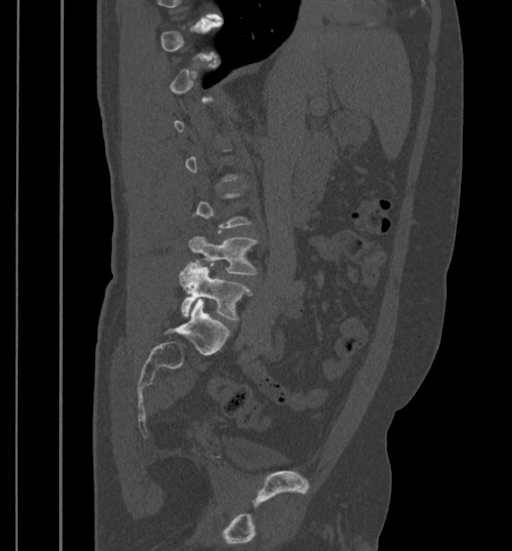 Computed tomography of the spine. sagittal view. 399 mm image width. Bone window (WL 400, WW 1800)

Box values are [left, top, right, bottom] in pixels.
A vertebra is boxed only from the first to the last slice where its cross-section is at least a third of its largest; slices outside that range leave it without a box.
{"vertebrae":{"L4":[188,236,257,274],"L5":[178,262,252,319]}}